CT; the image is 368 mm wide; sagittal reformat; 613x1182 px
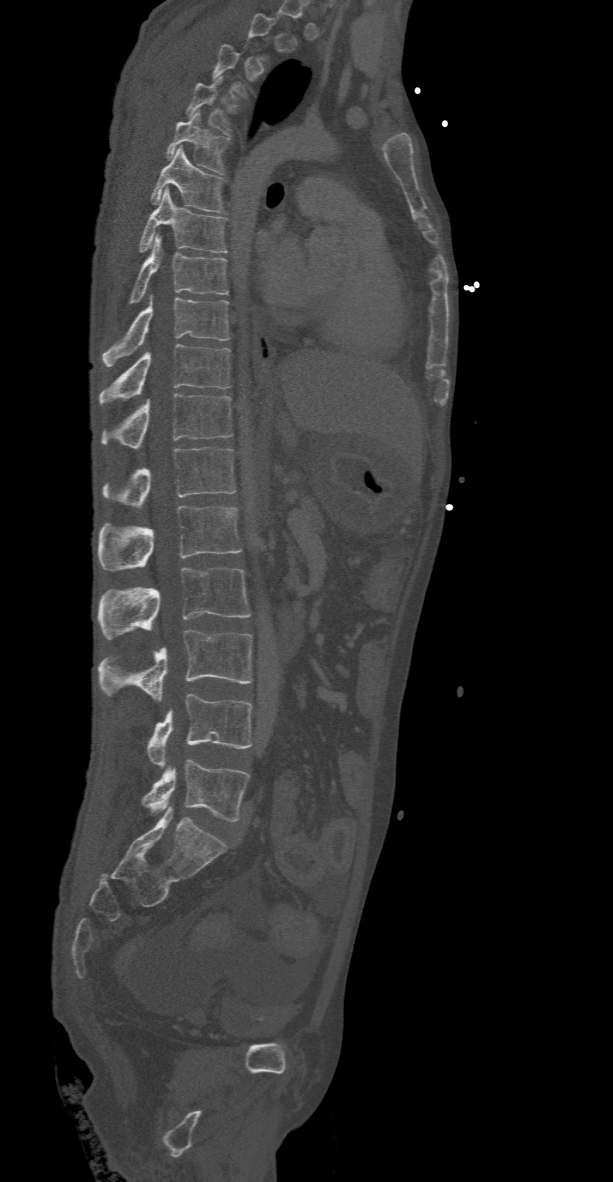
Box values are [left, top, right, bottom] in pixels.
Not every vertebra on this slice has a box: a vertebra is boxed only from the first to the last slice where its cross-section is at least a third of its largest, and this slice is outside that range for at least one of them.
{"vertebrae":{"T4":[187,76,229,135],"T5":[167,112,228,173],"T6":[150,147,225,213],"T7":[138,189,227,253],"T8":[129,234,227,303],"T9":[102,294,229,366],"T10":[98,344,230,405],"T11":[102,394,233,448],"T12":[102,447,235,508],"L1":[98,506,241,571],"L2":[98,567,251,638],"L3":[98,629,252,701],"L4":[146,694,252,766],"L5":[141,759,248,821]}}